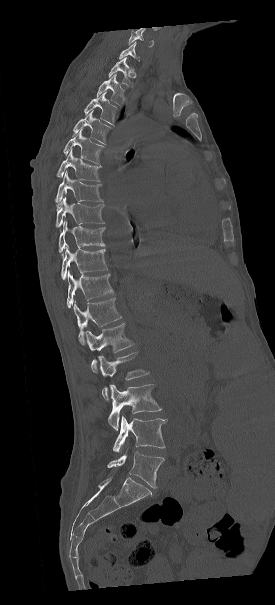 Spine CT · sagittal reformat
Boxes: x1:y1:x2:y2 in pixels.
Each vertebra is boxed only on the slices from the first to the last where its cross-section reaches a third of its largest, so a slice outside that range leaves it unboxed.
Vertebra bounding boxes:
- T1: 108:57:133:86
- T2: 97:74:125:105
- T3: 84:92:118:126
- T4: 73:110:111:144
- T5: 63:128:104:165
- T6: 57:149:100:181
- T7: 55:171:102:207
- T8: 56:197:104:227
- T9: 58:221:104:252
- T10: 61:246:107:280
- T11: 66:270:112:308
- T12: 73:298:121:345
- L1: 85:323:134:372
- L2: 97:352:149:400
- L3: 108:383:161:430
- L4: 112:414:165:454
- L5: 107:451:163:488